CT. sagittal reformat. bone window. 340 mm across the image. 512x705 px
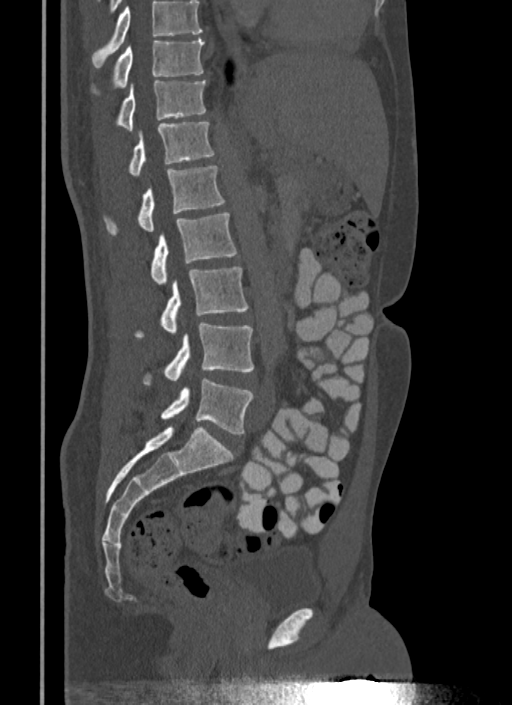
Boxes: x1 y1 x2 y2 (pixel coords, space-separated).
A vertebra cut off by the top edge of the scan is not labeled and has no box.
Vertebra bounding boxes:
- T10: 93 38 204 92
- T11: 117 80 205 130
- T12: 129 122 214 175
- L1: 105 166 225 234
- L2: 150 212 237 285
- L3: 137 267 247 335
- L4: 143 322 253 385
- L5: 161 378 253 434